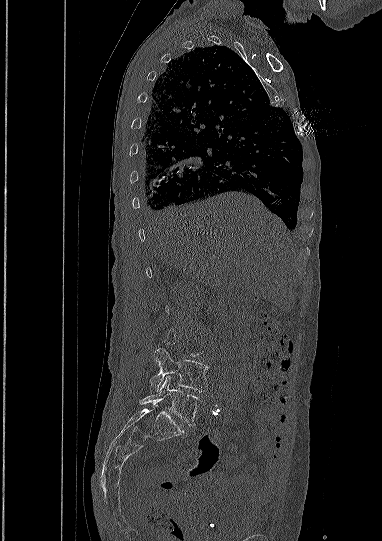 Computed tomography of the spine — sagittal view — 382x541 px — 382 mm image width
Each vertebra is boxed only on the slices from the first to the last where its cross-section reaches a third of its largest, so a slice outside that range leaves it unboxed.
<vertebrae><v name="L5" x1="140" y1="376" x2="199" y2="425"/><v name="L4" x1="150" y1="348" x2="207" y2="391"/></vertebrae>